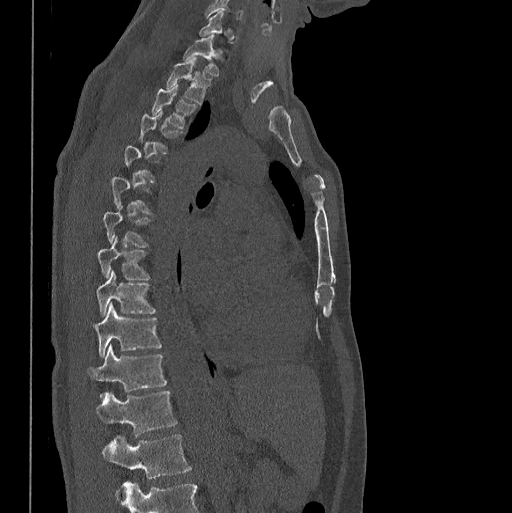

CT spine; sagittal view; image 398 mm wide

Coordinates as <box>x1,y1,x2,y2</box>.
Not every vertebra on this slice has a box: a vertebra is boxed only from the first to the last slice where its cross-section is at least a third of its largest, and this slice is outside that range for at least one of them.
In this scan, the topmost labeled vertebra is C7 and the lowest is L1.
Vertebra bounding boxes:
- T1: <box>184,35,219,75</box>
- T2: <box>166,58,212,103</box>
- T3: <box>152,85,194,128</box>
- T8: <box>96,236,148,279</box>
- T9: <box>96,270,155,316</box>
- T10: <box>92,302,161,357</box>
- T11: <box>87,344,166,391</box>
- T12: <box>96,390,176,435</box>
- L1: <box>103,434,191,478</box>